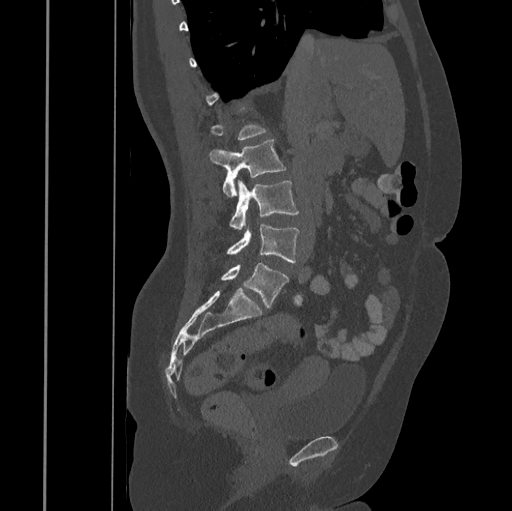

Spine computed tomography · image 445 mm wide · sagittal reformat · bone-window reconstruction
A vertebra gets a box only on the slices from the first to the last where its cross-section is at least a third of its largest; on a slice outside that range it gets none.
<vertebrae><v name="L2" x1="209" y1="139" x2="285" y2="197"/><v name="L3" x1="229" y1="180" x2="299" y2="229"/><v name="L4" x1="227" y1="224" x2="299" y2="262"/><v name="L5" x1="221" y1="262" x2="289" y2="308"/></vertebrae>